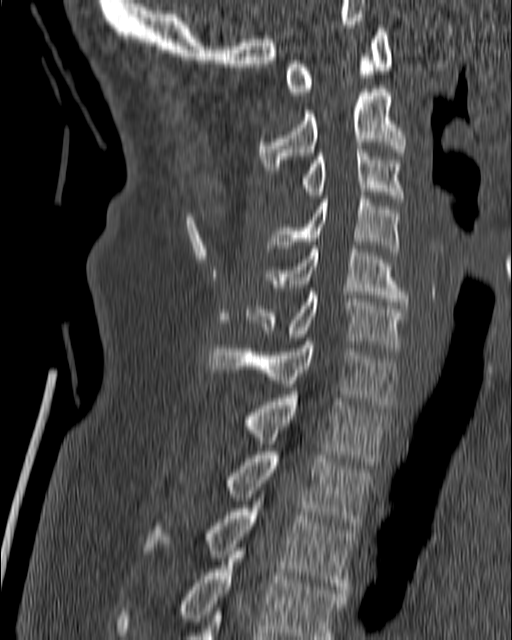

Spine computed tomography — sagittal view — W/L 1800/400 HU
Each vertebra maps to its box as [x1, y1, x2, y2], the pixel coordinates of its top-left and bottom-right corners.
{"vertebrae":{"T4":[114,544,347,639],"T3":[144,501,355,596],"T2":[226,452,373,532],"T1":[244,395,387,465],"C7":[209,341,398,408],"C6":[246,288,407,347],"C5":[265,245,407,305],"C4":[265,192,398,251],"C3":[302,146,404,202],"C2":[259,85,406,173],"C1":[285,28,392,95]}}